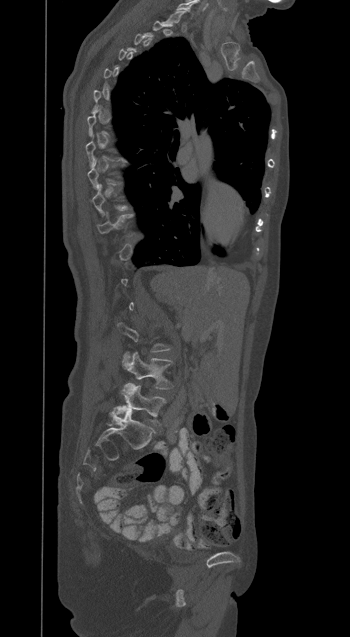 Spine computed tomography · sagittal view · bone-window reconstruction · 350x637 px
Boxes are (x1, y1, x2, y2) in pixels.
Each vertebra is boxed only on the slices from the first to the last where its cross-section reaches a third of its largest, so a slice outside that range leaves it unboxed.
L5: (121, 383, 166, 425)
L4: (124, 352, 172, 389)